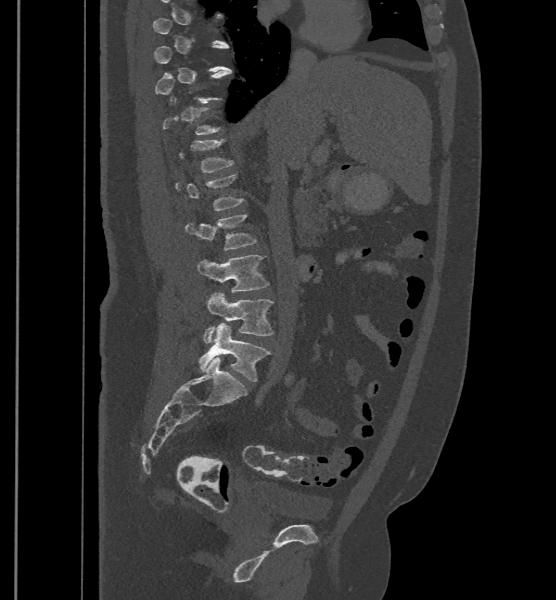 CT — the image is 500 mm wide — sagittal view

Bounding boxes as [x1, y1, x2, y2] in pixel coordinates.
Each vertebra is boxed only on the slices from the first to the last where its cross-section reaches a third of its largest, so a slice outside that range leaves it unboxed.
In these labels the spine has an L6, a sixth lumbar vertebra below L5.
Vertebra bounding boxes:
- L6: [199, 323, 270, 381]
- L5: [203, 292, 274, 343]
- L4: [196, 254, 269, 292]
- L3: [186, 213, 257, 250]
- L1: [179, 139, 233, 172]